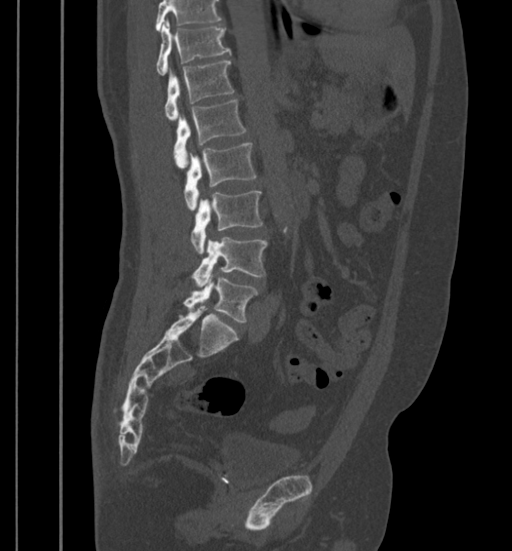
Spine computed tomography · sagittal view · Bone window (WL 400, WW 1800) · the image is 399 mm wide. In the table, x1 and y1 are a box's top-left corner and x2 and y2 its bottom-right corner, in pixels.
A vertebra cut off by the top edge of the scan is not labeled and has no box.
| vertebra | x1 | y1 | x2 | y2 |
|---|---|---|---|---|
| T11 | 156 | 21 | 231 | 74 |
| T12 | 164 | 60 | 234 | 119 |
| L1 | 173 | 100 | 247 | 168 |
| L2 | 183 | 142 | 255 | 209 |
| L3 | 191 | 191 | 262 | 253 |
| L4 | 192 | 237 | 267 | 286 |
| L5 | 183 | 277 | 258 | 322 |